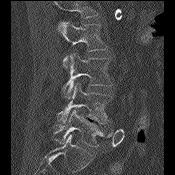
CT, spine · sagittal reformat

Box edges are left/top/right/bottom in pixels. Where the top of the scan cuts through a vertebra, that vertebra gets no label or box. The labeled vertebrae in this slice are: L5 at left=53, top=109, right=111, bottom=147, L4 at left=57, top=82, right=112, bottom=124, L3 at left=61, top=52, right=113, bottom=99, L2 at left=58, top=21, right=107, bottom=67.